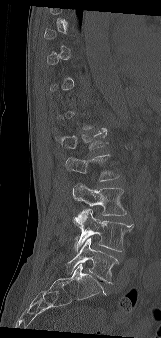
CT — sagittal view — W/L 1800/400 HU
Boxes below are [x1, y1, x2, y2] in pixels.
A vertebra gets a box only on the slices from the first to the last where its cross-section is at least a third of its largest; on a slice outside that range it gets none.
{"vertebrae":{"L5":[66,237,118,283],"L4":[72,209,133,252],"L3":[72,183,126,216],"L2":[65,154,119,181],"L1":[55,128,107,150]}}